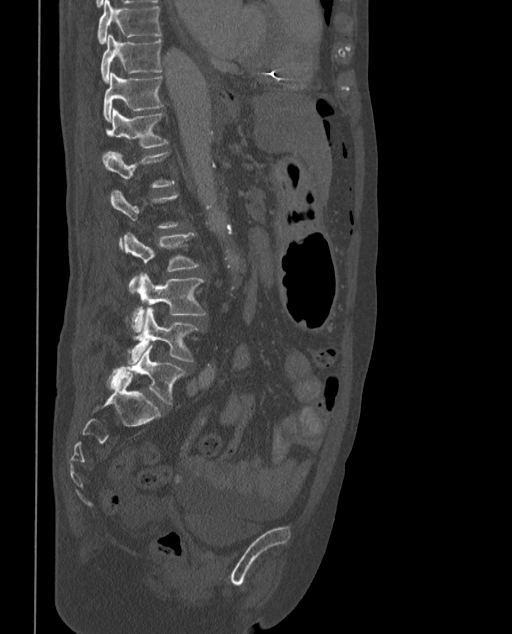
CT spine · sagittal view · 373 mm image width · W/L 1800/400 HU

Box values are [left, top, right, bottom] in pixels.
A vertebra gets a box only on the slices from the first to the last where its cross-section is at least a third of its largest; on a slice outside that range it gets none.
In these labels the spine has an L6, a sixth lumbar vertebra below L5.
{"vertebrae":{"T9":[96,0,161,43],"T10":[100,35,162,82],"T11":[103,73,164,123],"T12":[103,110,168,160],"L1":[103,151,175,188],"L3":[124,232,199,294],"L4":[132,273,206,333],"L5":[128,309,202,362],"L6":[110,346,185,405]}}